CT, spine — Sagittal slice 253/512 — bone window — the image is 375 mm wide — 9 vertebrae labeled in this scan
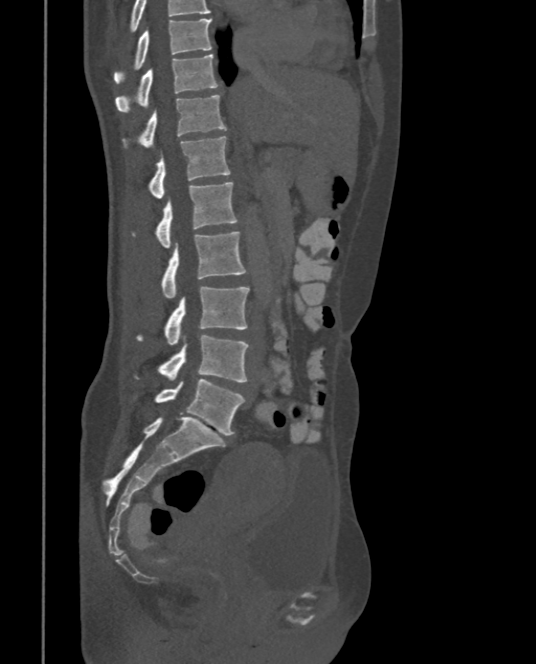

Boxes are (x1, y1, x2, y2) in pixels.
This scan's labels start at T9 at the top and end at L5 at the bottom.
T9: (114, 17, 211, 83)
T10: (115, 54, 219, 112)
T11: (122, 94, 226, 149)
T12: (146, 136, 230, 197)
L1: (133, 181, 238, 247)
L2: (161, 231, 246, 297)
L3: (136, 287, 249, 345)
L4: (133, 334, 249, 382)
L5: (134, 378, 245, 435)